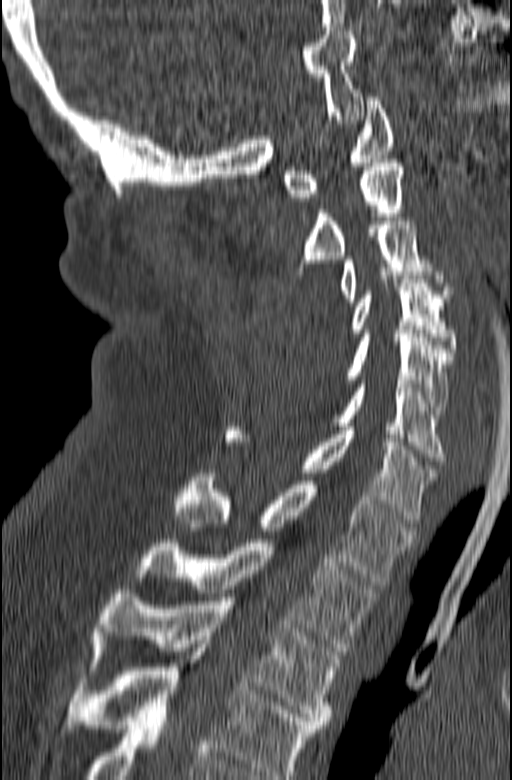 CT; sagittal reformat; the image is 165 mm wide; 512x780 px
Columns x1, y1, x2, y2 give each box's top-left and bottom-right pixels.
This scan's labels start at C1 at the top and end at T3 at the bottom.
| vertebra | x1 | y1 | x2 | y2 |
|---|---|---|---|---|
| T3 | 87 | 590 | 340 | 728 |
| T2 | 136 | 539 | 378 | 651 |
| T1 | 174 | 473 | 416 | 585 |
| C7 | 224 | 427 | 436 | 523 |
| C6 | 330 | 380 | 447 | 461 |
| C5 | 345 | 334 | 453 | 418 |
| C4 | 349 | 279 | 456 | 356 |
| C3 | 339 | 221 | 452 | 302 |
| C2 | 296 | 159 | 403 | 274 |
| C1 | 283 | 97 | 394 | 201 |